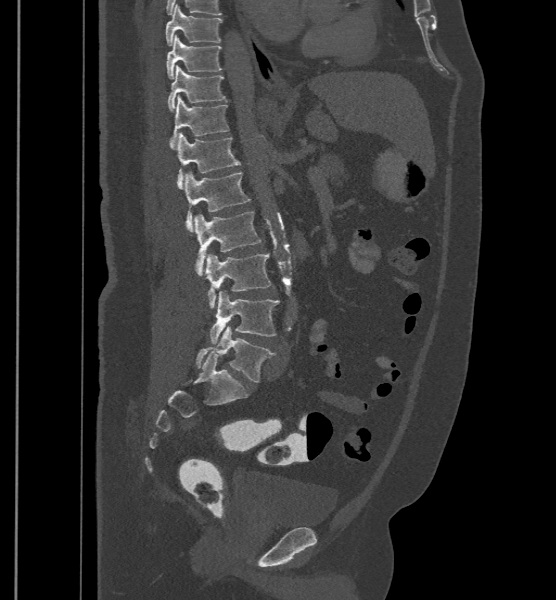
Spine CT; sagittal view; 556x600 px
Bounding boxes as [x1, y1, x2, y2] in pixel coordinates. The labels name a sixth lumbar vertebra for this spine: L6, after L5. The labeled vertebrae in this slice are: T9 at [165, 4, 223, 46], T10 at [167, 34, 221, 79], T11 at [168, 66, 226, 111], T12 at [170, 94, 229, 149], L1 at [177, 132, 240, 189], L2 at [184, 171, 250, 231], L3 at [194, 211, 262, 276], L4 at [205, 253, 271, 309], L5 at [208, 290, 279, 343], L6 at [195, 326, 276, 382].